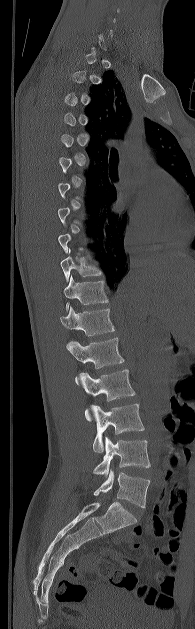
Computed tomography of the spine; the image is 195 mm wide; sagittal reformat

Each row gives a vertebra's box as x1, y1, x2, y2 in pixels: top-left corner, then bottom-right corner.
Not every vertebra on this slice has a box: a vertebra is boxed only from the first to the last slice where its cross-section is at least a third of its largest, and this slice is outside that range for at least one of them.
| vertebra | x1 | y1 | x2 | y2 |
|---|---|---|---|---|
| L5 | 94 | 469 | 150 | 508 |
| L4 | 92 | 436 | 150 | 477 |
| L3 | 90 | 403 | 144 | 452 |
| L2 | 78 | 369 | 135 | 421 |
| L1 | 67 | 337 | 124 | 383 |
| T12 | 60 | 307 | 114 | 349 |
| T11 | 63 | 275 | 108 | 310 |
| T10 | 60 | 248 | 101 | 281 |